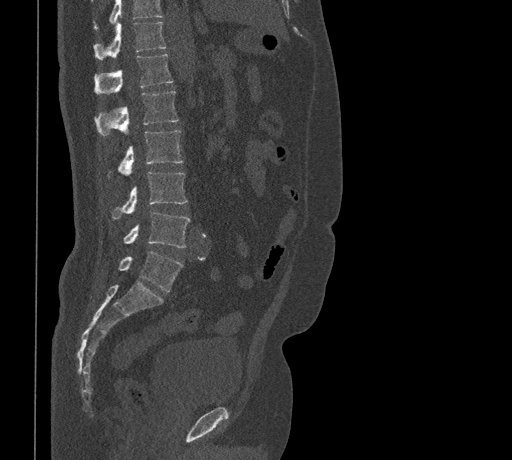 CT, spine; sagittal view; W/L 1800/400 HU; 461 mm wide
Boxes: x1 y1 x2 y2 (pixel coords, space-separated). No box is given to a vertebra that the top edge of the scan cuts off. 7 vertebrae labeled — T11 at 93 22 165 59; T12 at 94 55 172 94; L1 at 94 91 179 135; L2 at 108 130 183 177; L3 at 112 171 188 219; L4 at 123 211 190 247; L5 at 118 251 182 291.